Spine CT; 210 mm across the image; Sagittal slice 126/210; bone-window reconstruction; some of the image was removed or blocked out with constant pixels
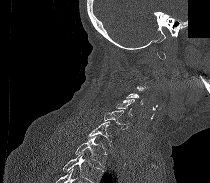

Coordinates as <box>x1,y1,x2,y2</box>.
A vertebra is boxed only from the first to the last slice where its cross-section is at least a third of its largest; slices outside that range leave it without a box.
No box is given to a vertebra that the bottom edge of the scan cuts off.
C5: <box>116,99,134,116</box>
C6: <box>104,110,130,129</box>
C7: <box>87,121,111,146</box>
T1: <box>75,136,107,166</box>